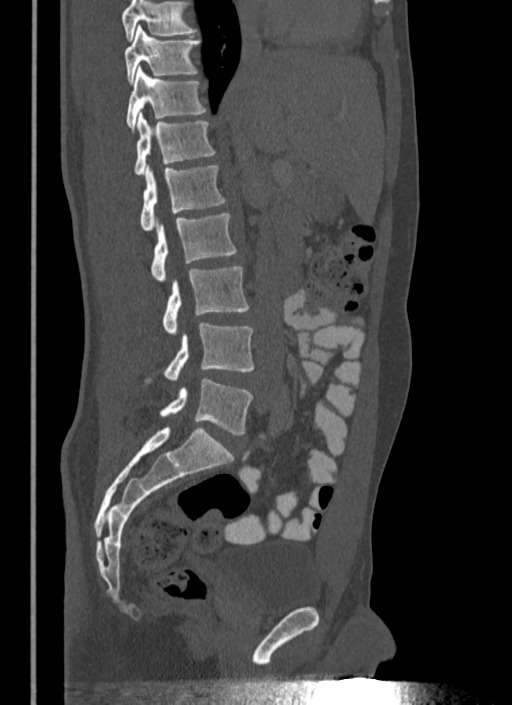 CT, spine; sagittal view; bone window. Boxes are given in columns x1, y1, x2, y2, the pixel coordinates of their top-left and bottom-right corners.
A vertebra cut off by the top edge of the scan is not labeled and has no box.
| vertebra | x1 | y1 | x2 | y2 |
|---|---|---|---|---|
| T10 | 125 | 26 | 199 | 83 |
| T11 | 126 | 66 | 205 | 132 |
| T12 | 134 | 111 | 214 | 175 |
| L1 | 140 | 164 | 225 | 231 |
| L2 | 152 | 212 | 237 | 282 |
| L3 | 162 | 267 | 249 | 335 |
| L4 | 164 | 322 | 253 | 380 |
| L5 | 161 | 378 | 252 | 434 |